CT. sagittal plane, index 235. the image spans 445 mm across. 9 vertebrae labeled in this scan
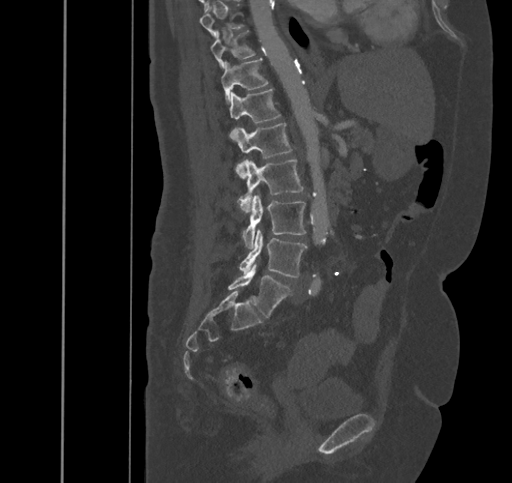

Boxes are (x1, y1, x2, y2) in pixels.
A vertebra gets a box only on the slices from the first to the last where its cross-section is at least a third of its largest; on a slice outside that range it gets none.
Vertebra bounding boxes:
- L5: (228, 264, 290, 317)
- L4: (239, 230, 306, 277)
- L3: (243, 195, 305, 249)
- L2: (239, 159, 303, 212)
- L1: (233, 122, 292, 178)
- T12: (229, 89, 280, 138)
- T11: (221, 58, 268, 102)
- T10: (210, 30, 255, 68)